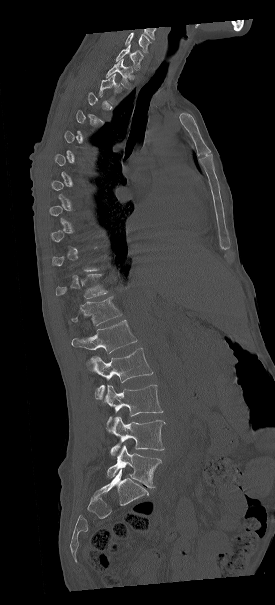 CT, spine · sagittal view · bone window. Bounding boxes as [x1, y1, x2, y2] in pixel coordinates.
A vertebra is boxed only from the first to the last slice where its cross-section is at least a third of its largest; slices outside that range leave it without a box.
This scan's labels start at C7 at the top and end at L5 at the bottom.
C7: [115, 45, 143, 70]
T1: [106, 59, 133, 88]
T2: [98, 74, 119, 104]
T11: [56, 274, 108, 298]
T12: [69, 297, 121, 325]
L1: [72, 320, 137, 353]
L2: [86, 347, 153, 399]
L3: [103, 384, 163, 425]
L4: [107, 415, 164, 458]
L5: [107, 445, 161, 488]